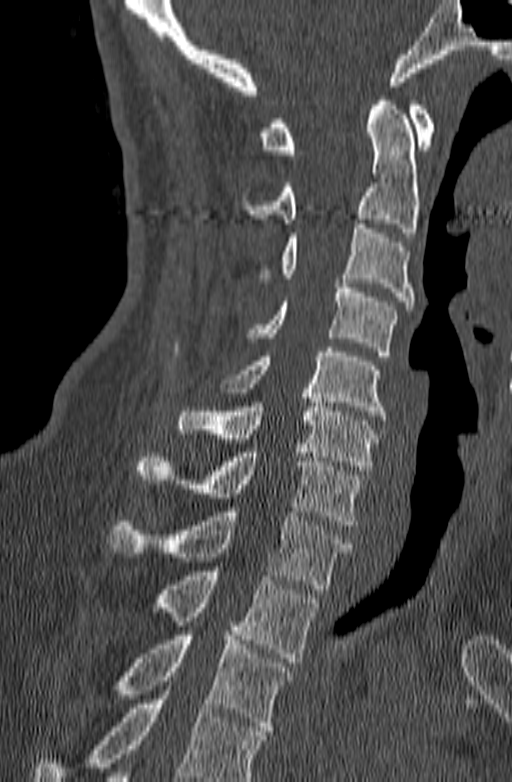

Computed tomography of the spine — sagittal view — 512x782 px — 140 mm image width
Boxes: x1 y1 x2 y2 (pixel coords, space-separated).
No box is given to a vertebra that the bottom edge of the scan cuts off.
Vertebra bounding boxes:
- C1: 259 101 434 154
- C2: 241 96 420 237
- C3: 261 224 413 310
- C4: 246 283 397 356
- C5: 221 347 386 420
- C6: 177 393 377 470
- C7: 134 448 362 525
- T1: 108 507 351 589
- T2: 155 571 319 662
- T3: 113 631 292 735